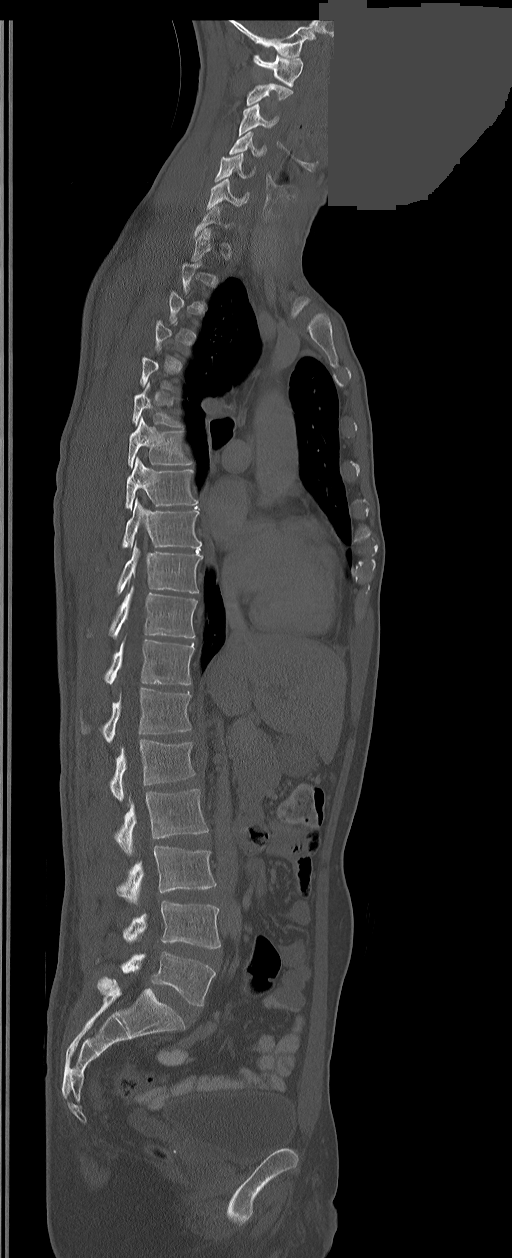
Computed tomography of the spine; sagittal reformat; bone window; 512x1258 px; some of the image was removed or blocked out with constant pixels
Each box given as x1,y1,x2,y2.
Not every vertebra on this slice has a box: a vertebra is boxed only from the first to the last slice where its cross-section is at least a third of its largest, and this slice is outside that range for at least one of them.
The labels name a sixth lumbar vertebra for this spine: L6, after L5.
C1: x1=253, y1=55, x2=302, y2=87
C2: x1=246, y1=84, x2=292, y2=105
C3: x1=239, y1=104, x2=277, y2=135
C4: x1=229, y1=132, x2=265, y2=156
C5: x1=215, y1=154, x2=252, y2=181
C6: x1=206, y1=179, x2=248, y2=208
T6: x1=132, y1=382, x2=179, y2=426
T7: x1=128, y1=417, x2=191, y2=467
T8: x1=125, y1=458, x2=197, y2=508
T9: x1=122, y1=499, x2=201, y2=548
T10: x1=116, y1=544, x2=203, y2=595
T11: x1=110, y1=587, x2=197, y2=638
T12: x1=104, y1=639, x2=194, y2=685
L1: x1=82, y1=688, x2=191, y2=742
L2: x1=110, y1=739, x2=194, y2=801
L3: x1=116, y1=789, x2=208, y2=855
L4: x1=117, y1=846, x2=216, y2=903
L5: x1=123, y1=901, x2=220, y2=949
L6: x1=122, y1=951, x2=216, y2=1006